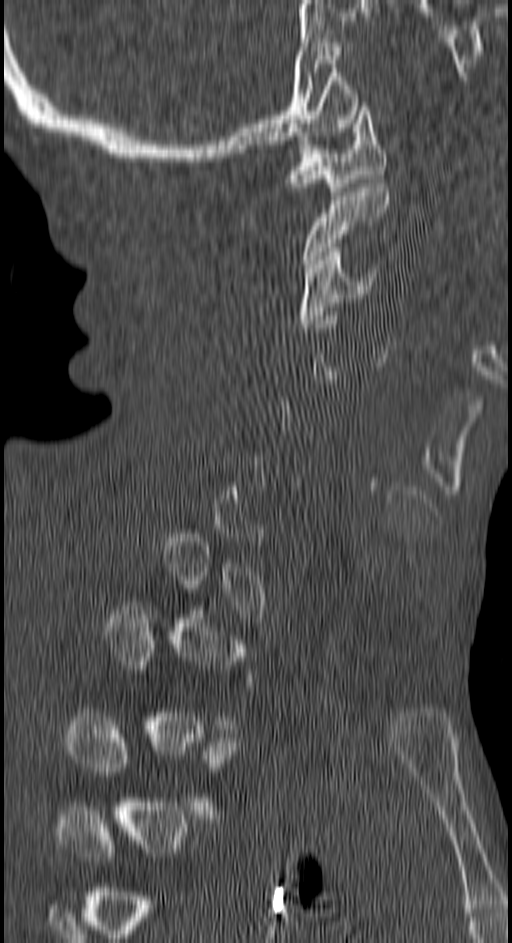

CT spine — sagittal view
A vertebra gets a box only on the slices from the first to the last where its cross-section is at least a third of its largest; on a slice outside that range it gets none.
<vertebrae><v name="C1" x1="285" y1="102" x2="386" y2="195"/><v name="C2" x1="302" y1="183" x2="389" y2="268"/><v name="C3" x1="298" y1="247" x2="376" y2="328"/><v name="T3" x1="66" y1="713" x2="239" y2="818"/></vertebrae>